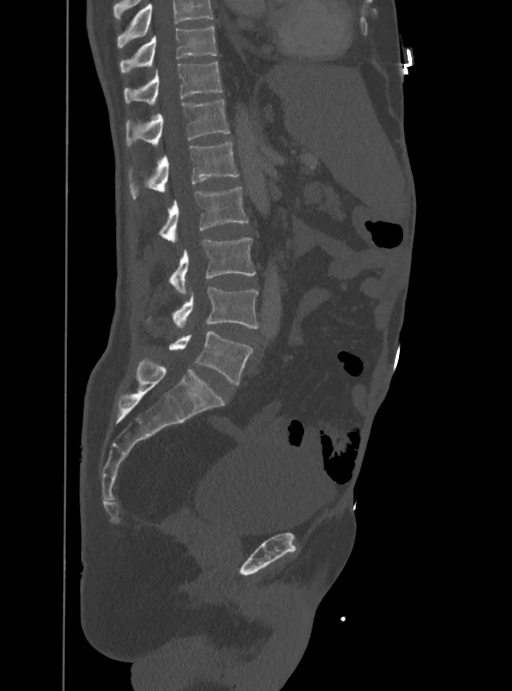

CT spine — sagittal view — Bone window (WL 400, WW 1800) — 388 mm wide
Each vertebra maps to its box as [x1, y1, x2, y2], the pixel coordinates of its top-left and bottom-right corners.
No box is given to a vertebra that the top edge of the scan cuts off.
{"vertebrae":{"T10":[120,26,217,73],"T11":[124,62,222,105],"T12":[125,99,230,146],"L1":[129,141,238,199],"L2":[160,188,248,241],"L3":[169,238,255,294],"L4":[173,287,260,329],"L5":[169,331,251,384]}}